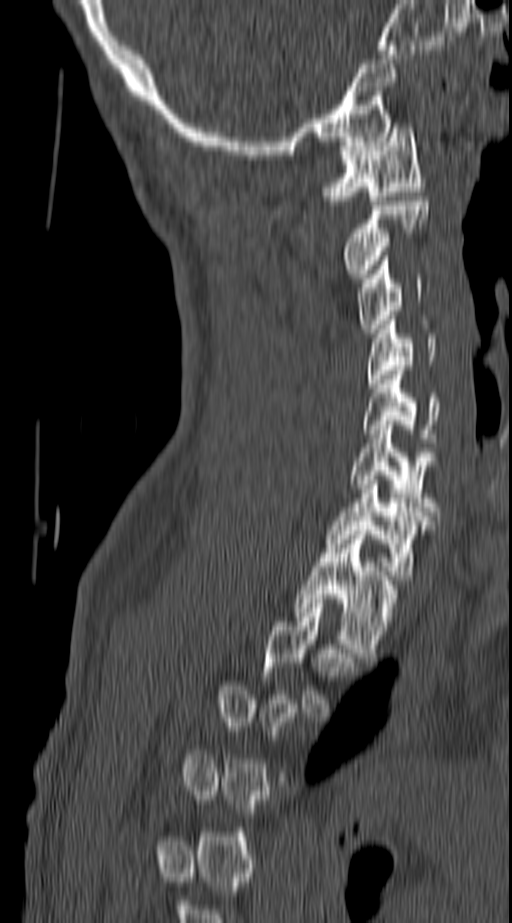 Spine computed tomography — sagittal view — 140 mm across the image — 512x923 px

Boxes are (x1, y1, x2, y2) in pixels.
A vertebra is boxed only from the first to the last slice where its cross-section is at least a third of its largest; slices outside that range leave it without a box.
C1: (323, 123, 424, 200)
C2: (345, 201, 428, 278)
C3: (358, 256, 421, 333)
C4: (367, 320, 436, 388)
C5: (363, 370, 439, 442)
C6: (349, 425, 436, 511)
C7: (327, 480, 425, 580)
T1: (294, 530, 395, 657)